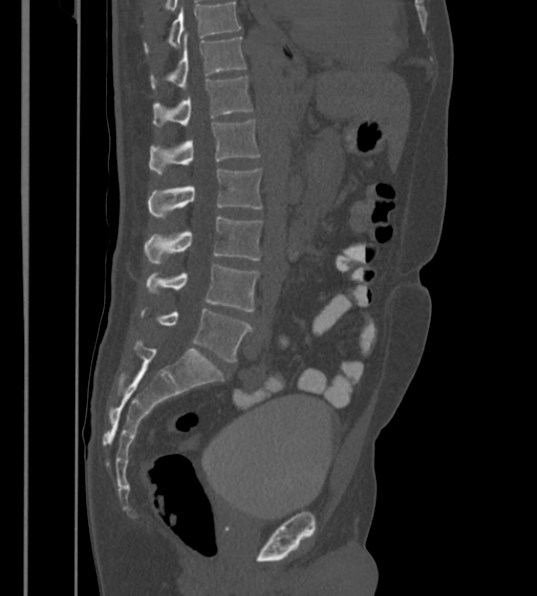

CT spine. sagittal reformat. W/L 1800/400 HU
Boxes: x1 y1 x2 y2 (pixel coords, space-separated). Labels in this scan begin with T12 at the top and end with L6 at the bottom. The labels name a sixth lumbar vertebra for this spine: L6, after L5. The labeled vertebrae in this slice are: T12 at 152 36 245 89, L1 at 154 75 253 126, L2 at 150 119 260 175, L3 at 148 167 261 219, L4 at 145 216 262 264, L5 at 145 264 259 311, L6 at 138 306 252 363.